Computed tomography of the spine. sagittal plane, index 253. 824x928 px. scan covers 9 annotated vertebrae
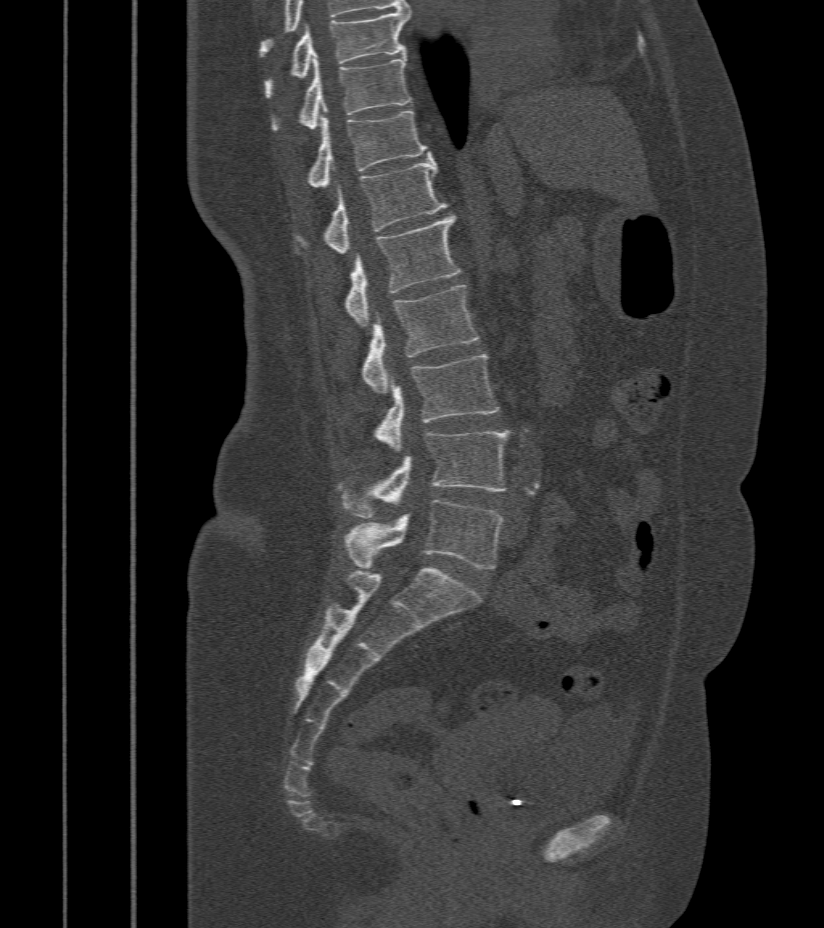

<vertebrae><v name="T9" x1="264" y1="11" x2="409" y2="98"/><v name="T10" x1="272" y1="57" x2="411" y2="132"/><v name="T11" x1="306" y1="109" x2="430" y2="186"/><v name="T12" x1="296" y1="157" x2="446" y2="254"/><v name="L1" x1="344" y1="215" x2="461" y2="326"/><v name="L2" x1="362" y1="285" x2="479" y2="394"/><v name="L3" x1="373" y1="355" x2="500" y2="450"/><v name="L4" x1="338" y1="431" x2="509" y2="518"/><v name="L5" x1="344" y1="499" x2="503" y2="568"/></vertebrae>